Computed tomography of the spine — sagittal reformat — 380x640 px — 18 vertebrae labeled in this scan
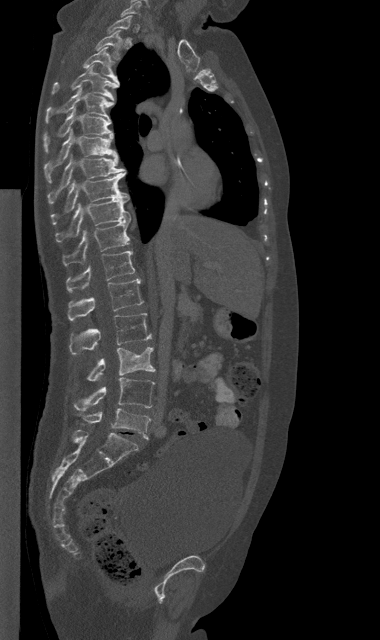 A vertebra is boxed only from the first to the last slice where its cross-section is at least a third of its largest; slices outside that range leave it without a box.
<vertebrae><v name="L5" x1="78" y1="408" x2="150" y2="439"/><v name="L4" x1="74" y1="377" x2="154" y2="410"/><v name="L3" x1="87" y1="347" x2="155" y2="380"/><v name="L2" x1="69" y1="313" x2="151" y2="355"/><v name="L1" x1="68" y1="278" x2="143" y2="320"/><v name="T12" x1="66" y1="251" x2="135" y2="292"/><v name="T11" x1="62" y1="220" x2="130" y2="265"/><v name="T10" x1="55" y1="198" x2="131" y2="242"/><v name="T9" x1="51" y1="172" x2="129" y2="223"/><v name="T8" x1="48" y1="156" x2="126" y2="202"/><v name="T7" x1="44" y1="129" x2="117" y2="182"/><v name="T6" x1="44" y1="108" x2="113" y2="151"/><v name="T5" x1="45" y1="87" x2="113" y2="123"/><v name="T4" x1="52" y1="65" x2="119" y2="100"/><v name="T3" x1="83" y1="47" x2="119" y2="84"/><v name="T2" x1="96" y1="30" x2="120" y2="58"/><v name="C7" x1="121" y1="1" x2="141" y2="16"/></vertebrae>